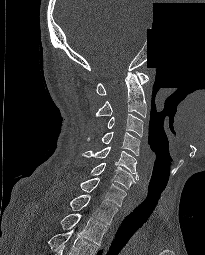

Spine computed tomography — sagittal view — W/L 1800/400 HU — the image spans 205 mm across — some of the image was removed or blocked out with constant pixels

Labels in this scan begin with C1 at the top and end with T2 at the bottom.
<vertebrae><v name="T2" x1="60" y1="213" x2="107" y2="244"/><v name="T1" x1="70" y1="194" x2="118" y2="224"/><v name="C7" x1="80" y1="178" x2="126" y2="206"/><v name="C6" x1="91" y1="162" x2="135" y2="189"/><v name="C5" x1="82" y1="147" x2="139" y2="180"/><v name="C4" x1="87" y1="132" x2="140" y2="155"/><v name="C3" x1="107" y1="113" x2="143" y2="136"/><v name="C2" x1="95" y1="72" x2="146" y2="117"/><v name="C1" x1="96" y1="71" x2="148" y2="95"/></vertebrae>